Spine computed tomography · sagittal reformat
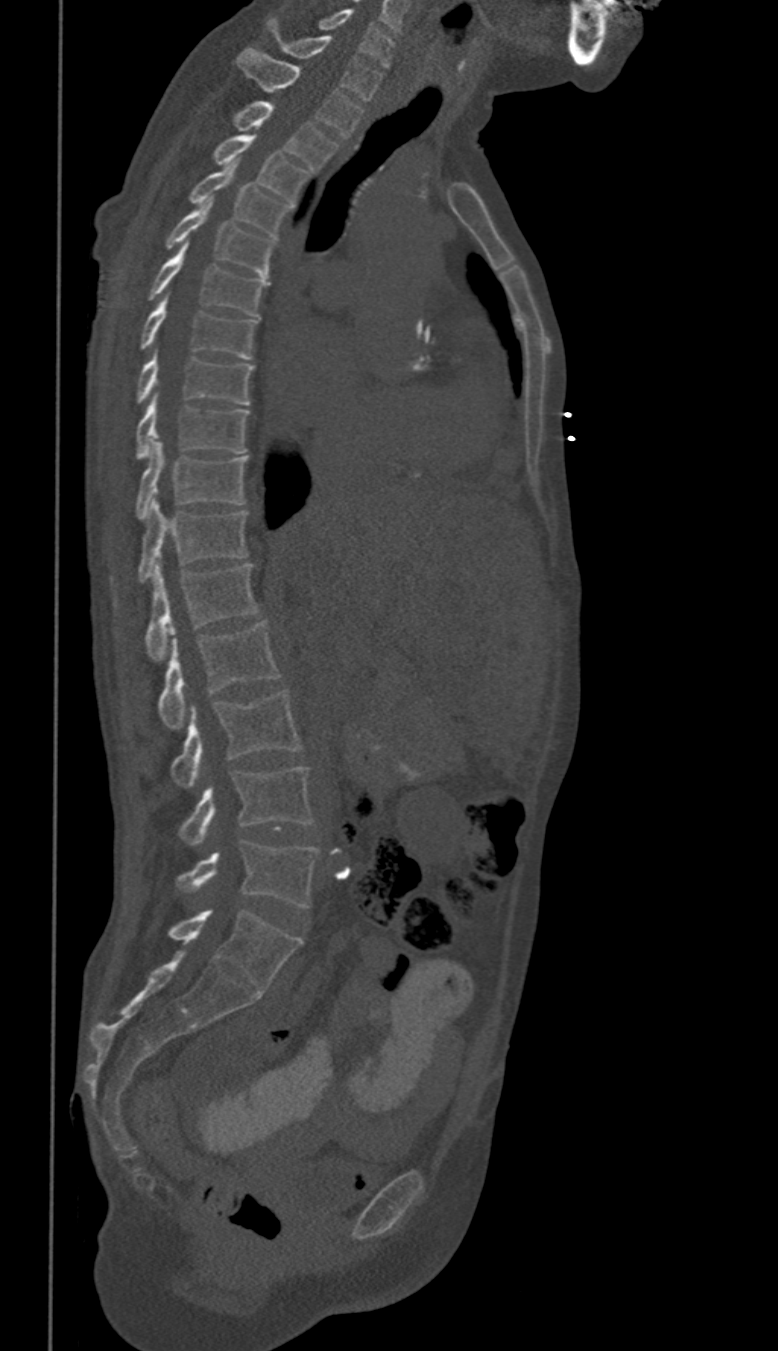 Each row gives a vertebra's box as x1, y1, x2, y2 in pixels: top-left corner, then bottom-right corner.
These labels give this spine no T12: after T11 the next vertebra is L1.
| vertebra | x1 | y1 | x2 | y2 |
|---|---|---|---|---|
| L5 | 178 | 840 | 318 | 908 |
| L4 | 179 | 767 | 312 | 846 |
| L3 | 170 | 689 | 301 | 788 |
| L2 | 160 | 620 | 279 | 728 |
| L1 | 146 | 563 | 256 | 659 |
| T11 | 140 | 498 | 245 | 582 |
| T10 | 137 | 440 | 248 | 519 |
| T9 | 137 | 394 | 248 | 459 |
| T8 | 137 | 349 | 253 | 404 |
| T7 | 141 | 294 | 254 | 359 |
| T6 | 150 | 240 | 265 | 315 |
| T5 | 166 | 198 | 274 | 277 |
| T4 | 191 | 160 | 288 | 235 |
| T3 | 216 | 134 | 307 | 202 |
| T2 | 235 | 100 | 336 | 168 |
| T1 | 237 | 47 | 361 | 137 |
| C7 | 266 | 18 | 380 | 99 |
| C6 | 317 | 8 | 394 | 68 |